Spine CT. Sagittal slice 314/512. image 149 mm wide. bone window
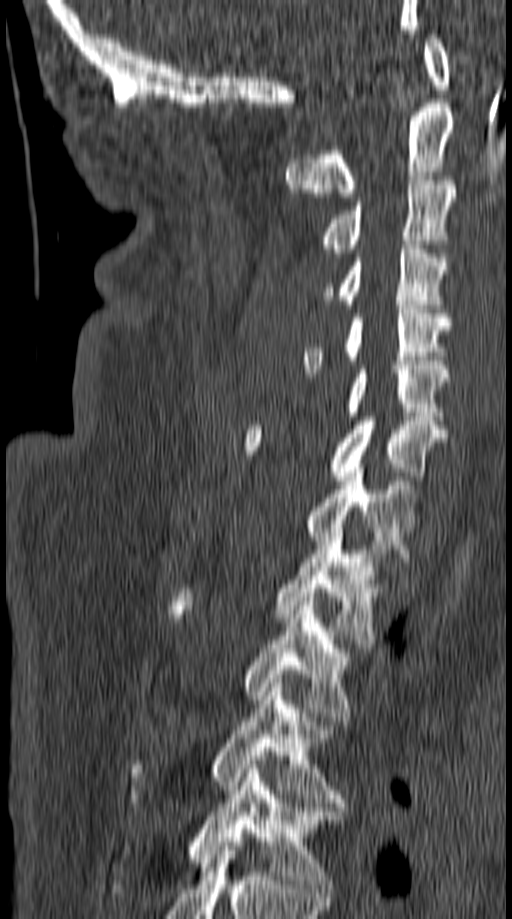
Box edges are left/top/right/bottom in pixels.
| vertebra | x1 | y1 | x2 | y2 |
|---|---|---|---|---|
| T5 | 187 | 760 | 344 | 892 |
| T4 | 125 | 683 | 347 | 807 |
| T3 | 242 | 597 | 358 | 721 |
| T2 | 170 | 528 | 385 | 648 |
| T1 | 304 | 468 | 417 | 566 |
| C7 | 243 | 417 | 445 | 484 |
| C6 | 344 | 365 | 450 | 420 |
| C5 | 302 | 305 | 450 | 373 |
| C4 | 323 | 245 | 447 | 308 |
| C3 | 320 | 180 | 454 | 257 |
| C2 | 286 | 99 | 454 | 197 |
| C1 | 424 | 34 | 450 | 89 |